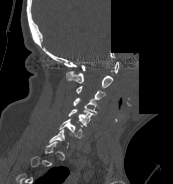

Spine CT. sagittal view. bone window. part of the scan has been removed (filled with constant black)

Each vertebra maps to its box as [x1, y1, x2, y2], the pixel coordinates of its top-left and bottom-right corners.
Each vertebra is boxed only on the slices from the first to the last where its cross-section reaches a third of its largest, so a slice outside that range leaves it unboxed.
{"vertebrae":{"C1":[81,61,119,73],"C2":[65,71,112,88],"C3":[76,86,105,101],"C4":[73,97,97,115],"C5":[68,108,93,126],"C6":[59,118,84,138]}}